Spine computed tomography; sagittal plane, index 40; W/L 1800/400 HU; image width 216 mm
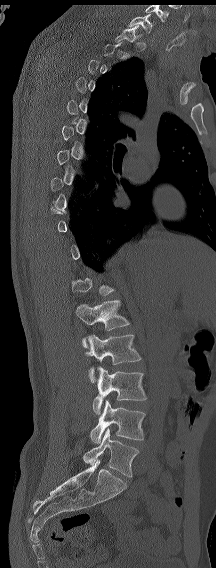
Each box given as x1,y1,x2,y2.
Not every vertebra on this slice has a box: a vertebra is boxed only from the first to the last slice where its cross-section is at least a third of its largest, and this slice is outside that range for at least one of them.
The highest labeled vertebra in this scan is C7; the lowest is L6.
The labels name a sixth lumbar vertebra for this spine: L6, after L5.
Vertebra bounding boxes:
- C7: x1=129, y1=14, x2=152, y2=33
- T1: x1=115, y1=25, x2=142, y2=42
- L2: x1=75, y1=300, x2=130, y2=348
- L3: x1=85, y1=334, x2=141, y2=382
- L4: x1=92, y1=366, x2=146, y2=414
- L5: x1=90, y1=400, x2=145, y2=443
- L6: x1=83, y1=428, x2=138, y2=477